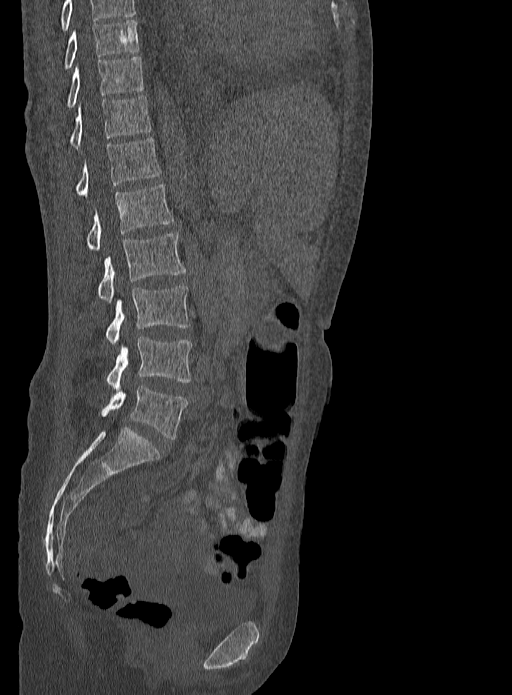
Spine computed tomography — sagittal view — 512x695 px
Coordinates as <box>x1,y1,x2,y2</box>. Labels in this scan begin with T9 at the top and end with L5 at the bottom. 9 vertebrae labeled — T9 at <box>63,20,139,68</box>; T10 at <box>66,57,143,107</box>; T11 at <box>69,95,151,148</box>; T12 at <box>75,138,162,196</box>; L1 at <box>86,185,172,250</box>; L2 at <box>98,232,185,302</box>; L3 at <box>106,286,189,343</box>; L4 at <box>106,337,192,391</box>; L5 at <box>101,386,188,439</box>.